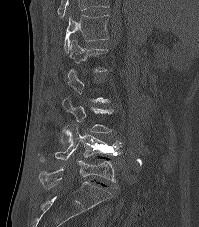 CT — sagittal view — W/L 1800/400 HU — 199x227 px
A vertebra is boxed only from the first to the last slice where its cross-section is at least a third of its largest; slices outside that range leave it without a box.
This scan's labels start at T12 at the top and end at L5 at the bottom.
<vertebrae><v name="T12" x1="63" y1="15" x2="109" y2="52"/><v name="L1" x1="69" y1="39" x2="107" y2="72"/><v name="L3" x1="62" y1="97" x2="113" y2="143"/><v name="L4" x1="38" y1="124" x2="123" y2="162"/><v name="L5" x1="39" y1="160" x2="116" y2="189"/></vertebrae>